CT, spine — sagittal plane, index 262 — bone window — 512x1305 px — scan covers 23 annotated vertebrae — a region of this slice is masked with a uniform fill
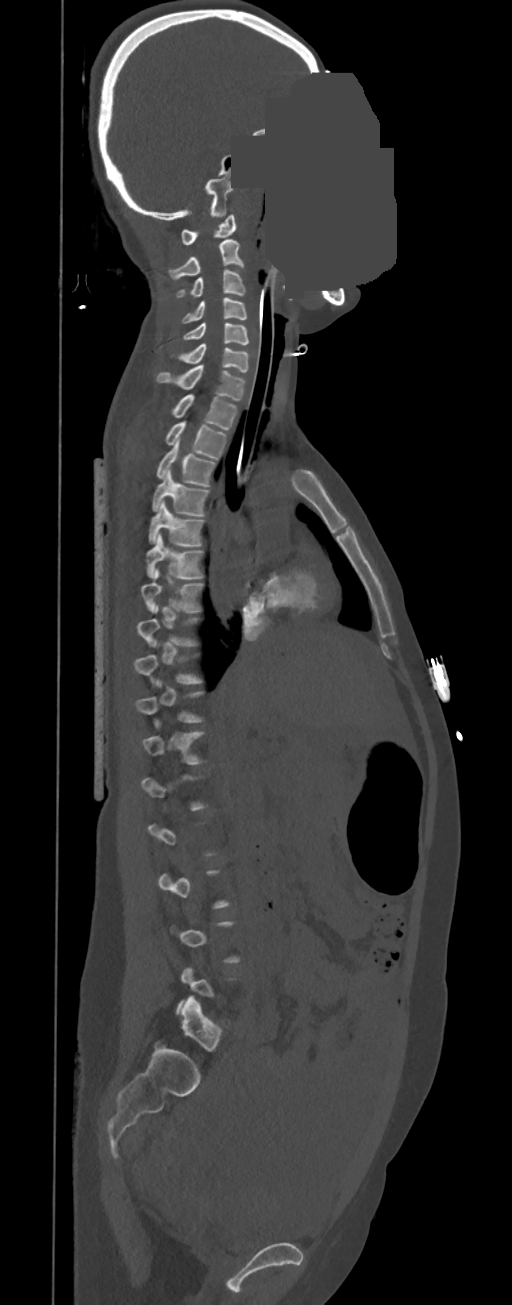

Each box given as x1,y1,x2,y2. Not every vertebra on this slice has a box: a vertebra is boxed only from the first to the last slice where its cross-section is at least a third of its largest, and this slice is outside that range for at least one of them. 15 vertebrae labeled — T11 at x1=143, y1=731, x2=203, y2=764; T7 at x1=140, y1=569, x2=202, y2=613; T6 at x1=146, y1=533, x2=202, y2=578; T5 at x1=148, y1=500, x2=204, y2=545; T4 at x1=151, y1=469, x2=209, y2=516; T3 at x1=156, y1=437, x2=215, y2=486; T2 at x1=165, y1=421, x2=226, y2=460; T1 at x1=172, y1=394, x2=237, y2=430; C7 at x1=156, y1=365, x2=245, y2=401; C6 at x1=180, y1=344, x2=248, y2=372; C5 at x1=183, y1=323, x2=249, y2=344; C4 at x1=181, y1=298, x2=246, y2=323; C3 at x1=175, y1=269, x2=245, y2=297; C2 at x1=169, y1=240, x2=243, y2=279; C1 at x1=180, y1=215, x2=236, y2=245.